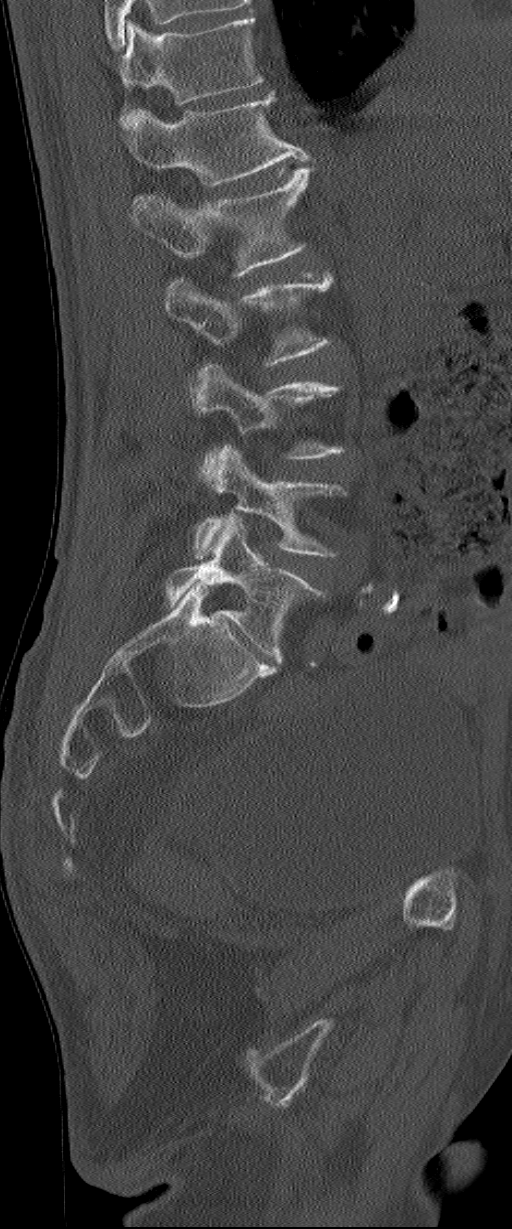

Spine computed tomography · sagittal view
Coordinates as <box>x1,y1,x2,y2</box>. The highest labeled vertebra in this scan is L1; the lowest is L6. The labels name a sixth lumbar vertebra for this spine: L6, after L5. Vertebrae labeled: L1 at <box>124,90,310,186</box>, L2 at <box>129,166,312,278</box>, L3 at <box>164,271,333,365</box>, L4 at <box>190,363,344,478</box>, L5 at <box>192,445,344,557</box>, L6 at <box>166,516,325,664</box>.